Spine CT — Sagittal slice 249/512 — Bone window (WL 400, WW 1800) — scan covers 8 annotated vertebrae — image 471 mm wide
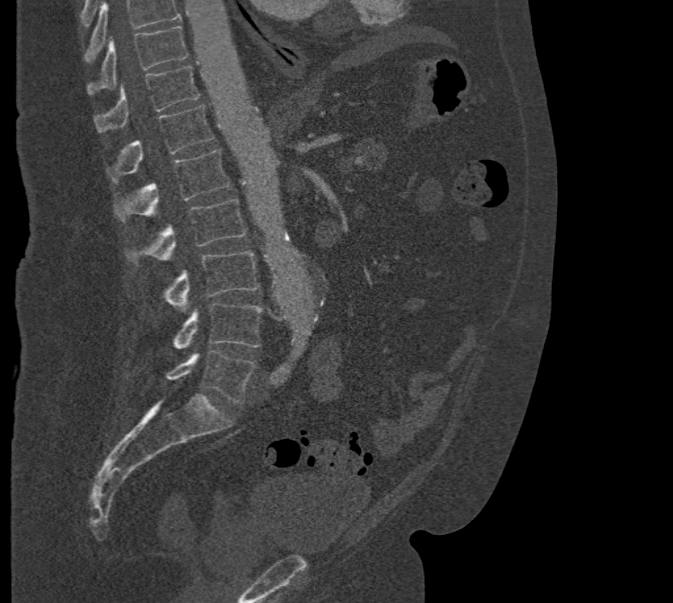

Coordinates as <box>x1,y1,x2,y2</box>.
A vertebra cut off by the top edge of the scan is not labeled and has no box.
T10: <box>87,26,187,94</box>
T11: <box>95,66,199,132</box>
T12: <box>106,105,213,182</box>
L1: <box>114,149,230,221</box>
L2: <box>126,199,246,264</box>
L3: <box>163,250,259,311</box>
L4: <box>172,303,262,348</box>
L5: <box>166,350,255,404</box>